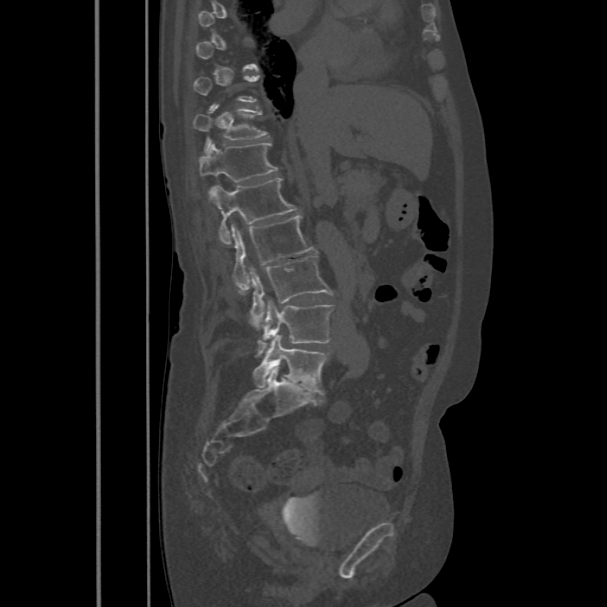
Computed tomography of the spine · sagittal view · Bone window (WL 400, WW 1800)

Boxes are (x1, y1, x2, y2) in pixels.
Each vertebra is boxed only on the slices from the first to the last where its cross-section reaches a third of its largest, so a slice outside that range leaves it unboxed.
Vertebra bounding boxes:
- T11: (193, 106, 268, 151)
- T12: (199, 141, 278, 195)
- L1: (209, 177, 298, 244)
- L2: (231, 216, 312, 289)
- L3: (249, 255, 332, 329)
- L4: (256, 300, 334, 356)
- L5: (253, 335, 326, 394)